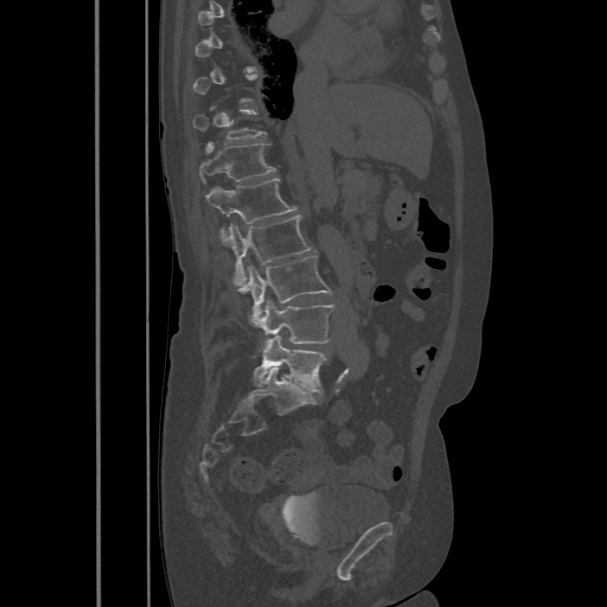

CT; sagittal reformat; bone window; 607x607 px; image 486 mm wide
A vertebra gets a box only on the slices from the first to the last where its cross-section is at least a third of its largest; on a slice outside that range it gets none.
<vertebrae><v name="L5" x1="253" y1="335" x2="326" y2="394"/><v name="L4" x1="255" y1="300" x2="334" y2="352"/><v name="L3" x1="247" y1="255" x2="332" y2="326"/><v name="L2" x1="219" y1="216" x2="312" y2="289"/><v name="L1" x1="206" y1="178" x2="298" y2="244"/><v name="T12" x1="200" y1="142" x2="275" y2="181"/></vertebrae>